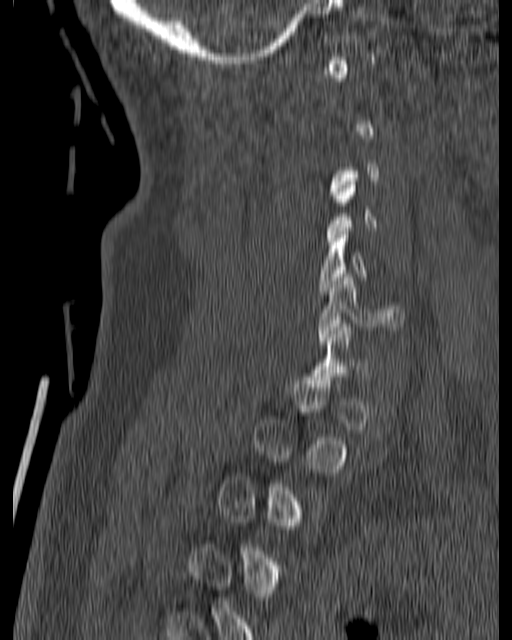 Computed tomography of the spine · sagittal reformat · bone-window reconstruction

Boxes: x1 y1 x2 y2 (pixel coords, space-separated).
A vertebra gets a box only on the slices from the first to the last where its cross-section is at least a third of its largest; on a slice outside that range it gets none.
Vertebra bounding boxes:
- C6: 317 274 403 344
- C5: 318 235 367 294